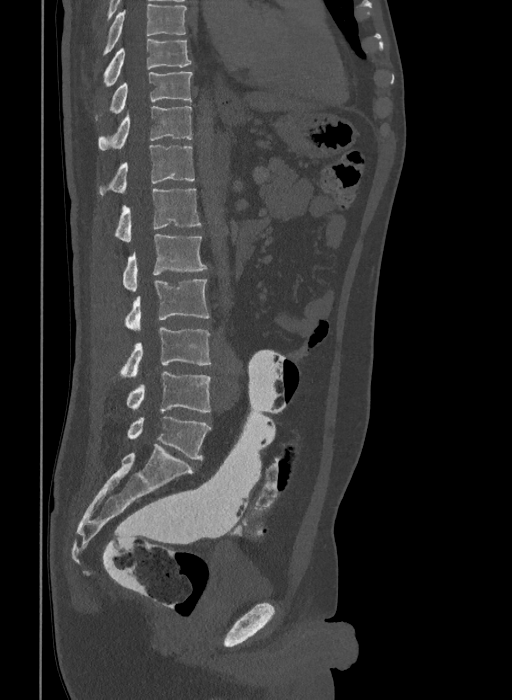

Spine computed tomography — sagittal view — 512x700 px. In the table, x1 and y1 are a box's top-left corner and x2 and y2 its bottom-right corner, in pixels.
In this scan, the topmost labeled vertebra is T9 and the lowest is L6.
These labels give the spine a sixth lumbar vertebra, L6, below L5.
| vertebra | x1 | y1 | x2 | y2 |
|---|---|---|---|---|
| T9 | 104 | 38 | 192 | 87 |
| T10 | 110 | 71 | 193 | 113 |
| T11 | 99 | 106 | 192 | 149 |
| T12 | 99 | 145 | 194 | 195 |
| L1 | 115 | 189 | 202 | 242 |
| L2 | 123 | 234 | 207 | 291 |
| L3 | 125 | 279 | 209 | 330 |
| L4 | 120 | 327 | 210 | 378 |
| L5 | 126 | 372 | 210 | 412 |
| L6 | 128 | 417 | 210 | 460 |